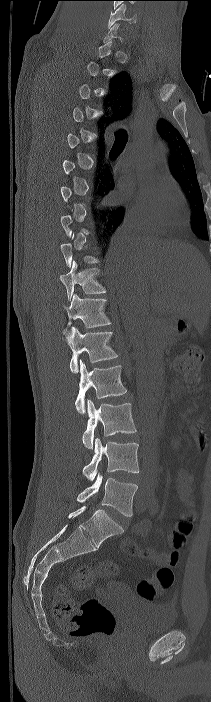
Spine CT; sagittal view; W/L 1800/400 HU
Not every vertebra on this slice has a box: a vertebra is boxed only from the first to the last slice where its cross-section is at least a third of its largest, and this slice is outside that range for at least one of them.
In this scan, the topmost labeled vertebra is C7 and the lowest is L4.
<vertebrae><v name="T10" x1="59" y1="260" x2="106" y2="300"/><v name="T11" x1="62" y1="294" x2="111" y2="334"/><v name="T12" x1="66" y1="326" x2="117" y2="372"/><v name="L1" x1="75" y1="360" x2="126" y2="413"/><v name="L2" x1="82" y1="399" x2="136" y2="449"/><v name="L3" x1="82" y1="438" x2="139" y2="480"/><v name="L4" x1="77" y1="472" x2="137" y2="516"/></vertebrae>